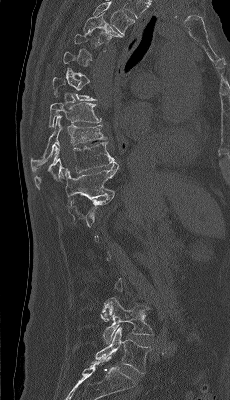
CT — sagittal reformat — 230x400 px
A vertebra gets a box only on the slices from the first to the last where its cross-section is at least a third of its largest; on a slice outside that range it gets none.
The highest labeled vertebra in this scan is T4; the lowest is L5.
<vertebrae><v name="T4" x1="83" y1="13" x2="123" y2="44"/><v name="T8" x1="48" y1="102" x2="101" y2="127"/><v name="T9" x1="30" y1="115" x2="106" y2="173"/><v name="T10" x1="34" y1="142" x2="116" y2="188"/><v name="T11" x1="64" y1="163" x2="118" y2="210"/><v name="L4" x1="101" y1="297" x2="153" y2="343"/><v name="L5" x1="95" y1="327" x2="151" y2="373"/></vertebrae>